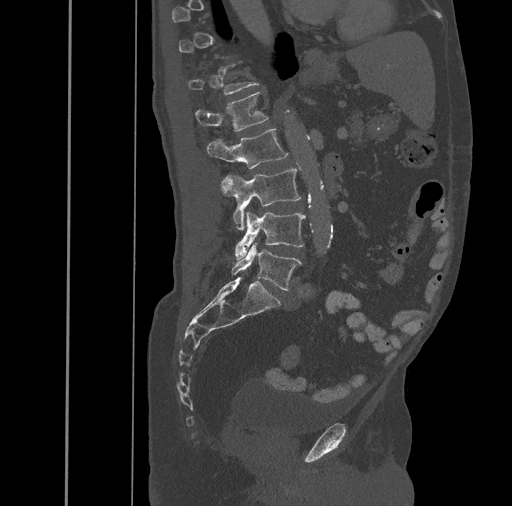

CT spine; sagittal view; Bone window (WL 400, WW 1800)
Each row gives a vertebra's box as x1, y1, x2, y2 in pixels: top-left corner, then bottom-right corner.
A vertebra is boxed only from the first to the last slice where its cross-section is at least a third of its largest; slices outside that range leave it without a box.
| vertebra | x1 | y1 | x2 | y2 |
|---|---|---|---|---|
| T12 | 188 | 61 | 259 | 94 |
| L1 | 195 | 92 | 268 | 132 |
| L2 | 207 | 128 | 288 | 168 |
| L3 | 220 | 168 | 301 | 230 |
| L4 | 235 | 212 | 305 | 260 |
| L5 | 232 | 243 | 302 | 290 |